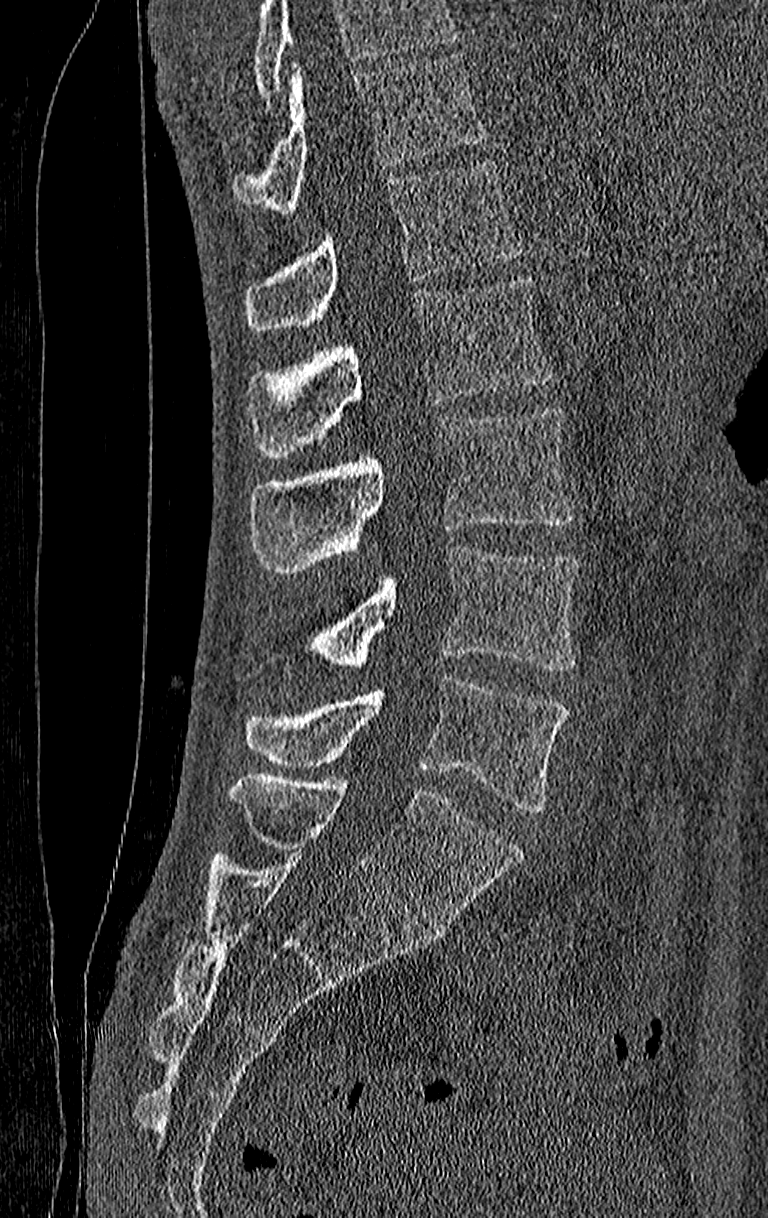

Spine CT. 210 mm across the image. sagittal view

Boxes are given in columns x1, y1, x2, y2, the pixel coordinates of their top-left and bottom-right corners.
Where the top of the scan cuts through a vertebra, that vertebra gets no label or box.
Labels in this scan begin with T11 at the top and end with L4 at the bottom.
| vertebra | x1 | y1 | x2 | y2 |
|---|---|---|---|---|
| T11 | 233 | 53 | 484 | 211 |
| T12 | 244 | 161 | 524 | 330 |
| L1 | 247 | 278 | 554 | 457 |
| L2 | 251 | 406 | 572 | 573 |
| L3 | 313 | 546 | 579 | 669 |
| L4 | 244 | 678 | 568 | 812 |